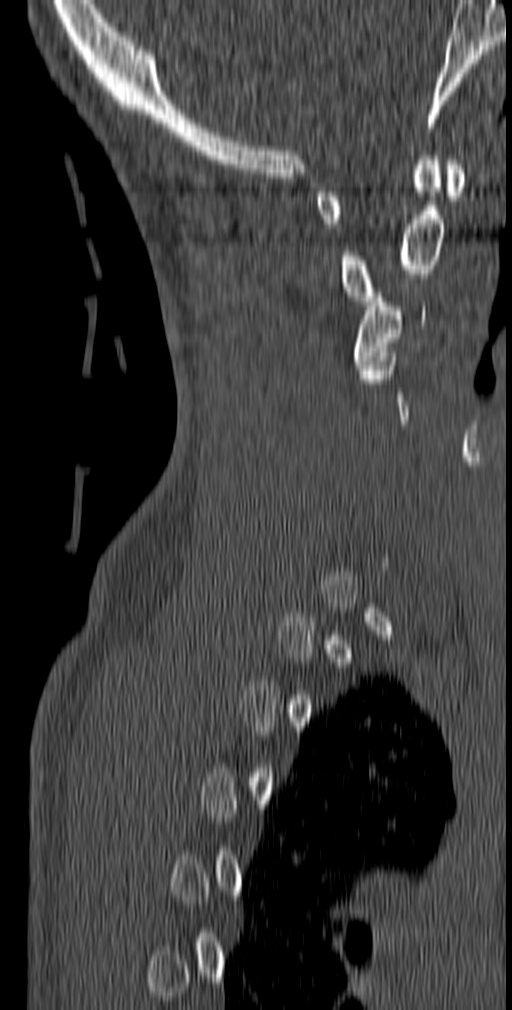

Spine CT; sagittal reformat; the image spans 140 mm across; W/L 1800/400 HU
Boxes below are [x1, y1, x2, y2] in pixels.
Each vertebra is boxed only on the slices from the first to the last where its cross-section reaches a third of its largest, so a slice outside that range leaves it unboxed.
{"vertebrae":{"C1":[315,160,465,228],"C2":[338,151,445,305],"C3":[353,293,425,369]}}